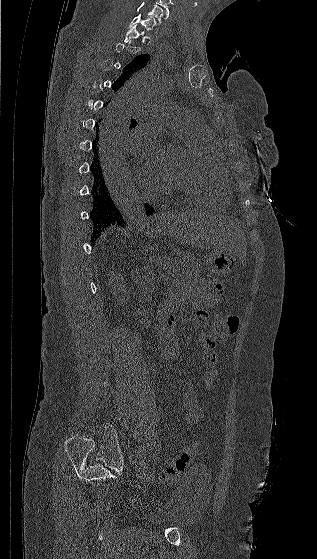

Spine computed tomography; sagittal view; W/L 1800/400 HU; the image spans 317 mm across
Boxes: x1 y1 x2 y2 (pixel coords, space-separated).
Not every vertebra on this slice has a box: a vertebra is boxed only from the first to the last slice where its cross-section is at least a third of its largest, and this slice is outside that range for at least one of them.
In this scan, the topmost labeled vertebra is C7 and the lowest is L5.
C7: 129 14 156 31
T1: 123 25 144 42